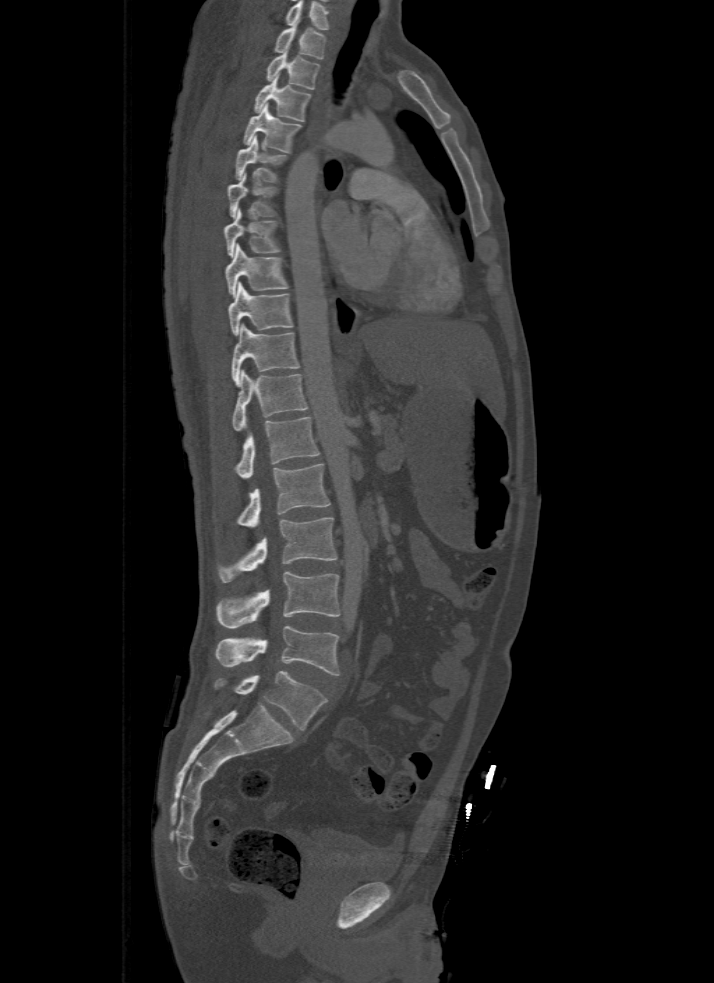 Computed tomography of the spine — sagittal view — W/L 1800/400 HU
Box edges are left/top/right/bottom in pixels. The highest labeled vertebra in this scan is T1; the lowest is L5. Vertebrae labeled: T1 at left=275, top=23, right=325, bottom=58, T2 at left=265, top=50, right=318, bottom=89, T3 at left=254, top=75, right=310, bottom=121, T4 at left=243, top=103, right=300, bottom=151, T5 at left=236, top=136, right=288, bottom=181, T6 at left=227, top=175, right=277, bottom=218, T7 at left=223, top=208, right=279, bottom=257, T8 at left=225, top=245, right=288, bottom=297, T9 at left=227, top=282, right=292, bottom=335, T10 at left=232, top=323, right=299, bottom=385, T11 at left=232, top=369, right=307, bottom=429, T12 at left=236, top=416, right=318, bottom=479, L1 at left=237, top=463, right=331, bottom=527, L2 at left=219, top=518, right=337, bottom=582, L3 at left=218, top=572, right=341, bottom=628, L4 at left=216, top=626, right=339, bottom=675, L5 at left=216, top=670, right=328, bottom=729.